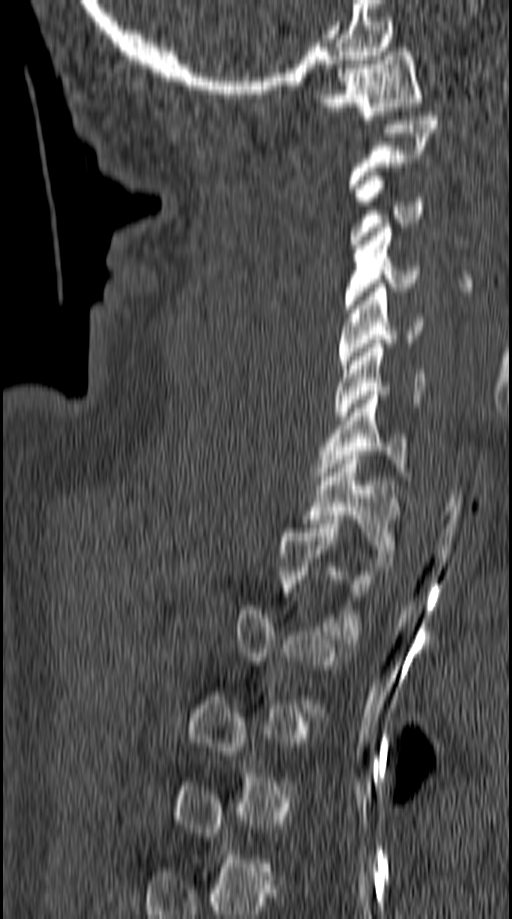
Spine CT. sagittal reformat. 512x919 px. image 149 mm wide

Box values are [left, top, right, bottom] in pixels.
Not every vertebra on this slice has a box: a vertebra is boxed only from the first to the last slice where its cross-section is at least a third of its largest, and this slice is outside that range for at least one of them.
{"vertebrae":{"C1":[315,47,423,119],"C3":[350,172,424,244],"C4":[345,223,419,313],"C5":[338,283,423,368],"C6":[335,344,426,420],"C7":[318,391,407,480],"T1":[304,451,403,562]}}